Computed tomography of the spine — sagittal plane, index 178 — Bone window (WL 400, WW 1800) — 281x245 px — scan covers 9 annotated vertebrae — part of the image is constant black where the scan was masked
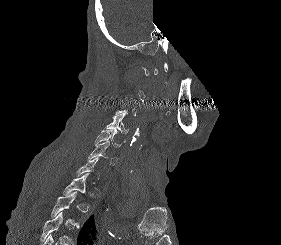
Boxes: x1 y1 x2 y2 (pixel coords, space-separated). Each vertebra is boxed only on the slices from the first to the last where its cross-section reaches a third of its largest, so a slice outside that range leaves it unboxed. A vertebra cut off by the bottom edge of the scan is not labeled and has no box. 5 vertebrae labeled — T2 at 51 191 79 228; T1 at 63 173 90 195; C6 at 87 141 117 165; C5 at 94 130 125 147; C4 at 105 112 128 134.